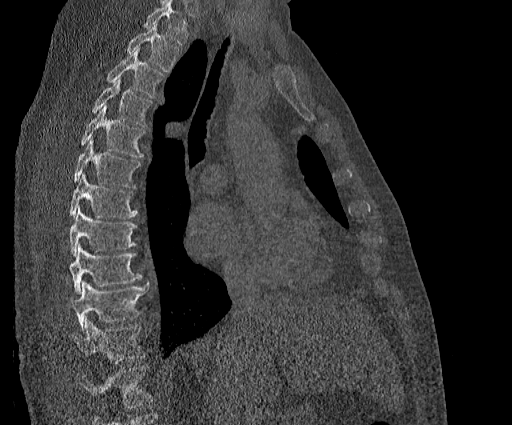

CT. sagittal view. 512x425 px

Box values are [left, top, right, bottom] in pixels.
Vertebrae that run past the top of the scan are left unlabeled.
Labels in this scan begin with T2 at the top and end with T11 at the bottom.
{"vertebrae":{"T2":[126,24,179,71],"T3":[106,48,164,98],"T4":[92,79,152,126],"T5":[80,105,144,158],"T6":[73,137,140,187],"T7":[69,173,138,218],"T8":[69,208,137,255],"T9":[69,244,141,294],"T10":[70,281,148,330],"T11":[69,317,145,363]}}